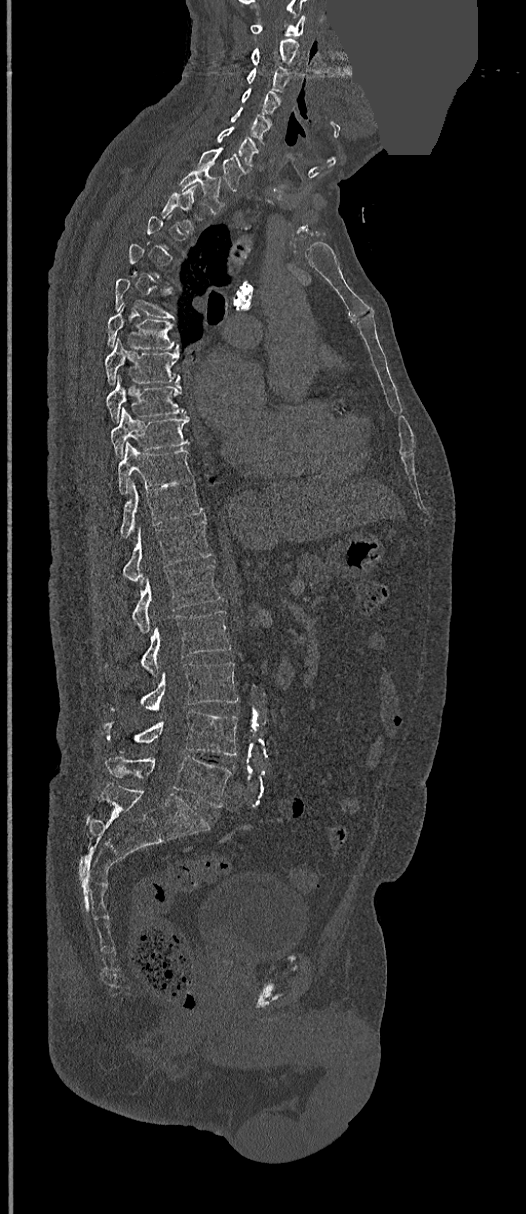
CT spine · 368 mm wide · sagittal reformat · an area of the scan was removed and filled with constant pixels. Columns x1, y1, x2, y2 give each box's top-left and bottom-right pixels.
A vertebra is boxed only from the first to the last slice where its cross-section is at least a third of its largest; slices outside that range leave it without a box.
| vertebra | x1 | y1 | x2 | y2 |
|---|---|---|---|---|
| L5 | 104 | 756 | 232 | 808 |
| L4 | 104 | 711 | 237 | 755 |
| L3 | 140 | 661 | 239 | 710 |
| L2 | 140 | 610 | 232 | 675 |
| L1 | 131 | 564 | 220 | 632 |
| T12 | 122 | 520 | 212 | 582 |
| T11 | 120 | 481 | 203 | 538 |
| T10 | 118 | 443 | 193 | 493 |
| T9 | 110 | 409 | 189 | 456 |
| T8 | 106 | 376 | 185 | 420 |
| T7 | 104 | 339 | 180 | 383 |
| T6 | 107 | 303 | 179 | 350 |
| T2 | 161 | 184 | 197 | 232 |
| T1 | 179 | 170 | 223 | 213 |
| C7 | 197 | 149 | 249 | 190 |
| C6 | 217 | 127 | 258 | 168 |
| C5 | 230 | 107 | 270 | 140 |
| C4 | 241 | 89 | 280 | 115 |
| C3 | 246 | 67 | 291 | 92 |
| C2 | 252 | 39 | 299 | 70 |
| C1 | 252 | 15 | 306 | 36 |